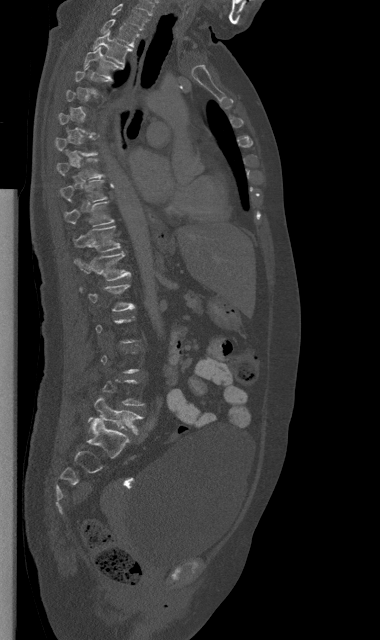

Computed tomography of the spine; sagittal view; 380x640 px
A vertebra is boxed only from the first to the last slice where its cross-section is at least a third of its largest; slices outside that range leave it without a box.
<vertebrae><v name="C7" x1="111" y1="3" x2="148" y2="30"/><v name="T1" x1="101" y1="19" x2="139" y2="46"/><v name="T2" x1="93" y1="31" x2="132" y2="65"/><v name="T3" x1="84" y1="47" x2="124" y2="81"/><v name="T8" x1="56" y1="158" x2="103" y2="178"/><v name="T9" x1="60" y1="179" x2="106" y2="201"/><v name="T10" x1="64" y1="201" x2="113" y2="226"/><v name="T11" x1="74" y1="225" x2="120" y2="252"/><v name="T12" x1="74" y1="251" x2="130" y2="280"/><v name="L1" x1="80" y1="284" x2="134" y2="311"/><v name="L5" x1="87" y1="397" x2="142" y2="434"/></vertebrae>